Spine CT. Sagittal slice 473/768. 9 vertebrae labeled in this scan. image width 227 mm
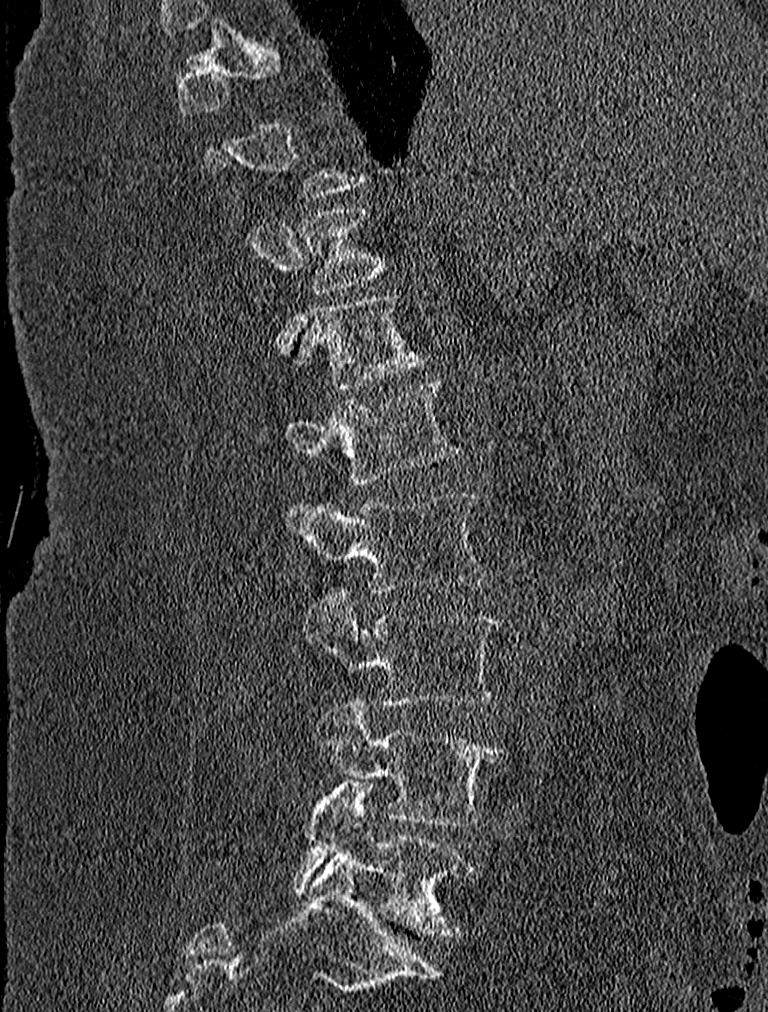
A vertebra is boxed only from the first to the last slice where its cross-section is at least a third of its largest; slices outside that range leave it without a box.
<vertebrae><v name="L5" x1="293" y1="781" x2="471" y2="935"/><v name="L4" x1="313" y1="702" x2="503" y2="826"/><v name="L3" x1="303" y1="591" x2="502" y2="704"/><v name="L2" x1="286" y1="490" x2="488" y2="593"/><v name="L1" x1="283" y1="379" x2="458" y2="483"/><v name="T12" x1="296" y1="294" x2="424" y2="389"/><v name="T11" x1="299" y1="207" x2="384" y2="293"/></vertebrae>